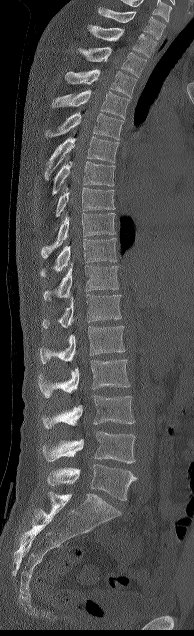
CT spine · sagittal view · the image is 194 mm wide
Box values are [left, top, right, bottom] in pixels.
{"vertebrae":{"C7":[98,8,165,39],"T1":[87,24,156,57],"T2":[78,47,146,77],"T3":[65,69,136,97],"T4":[52,89,129,118],"T5":[45,111,123,139],"T6":[45,136,118,180],"T7":[52,161,115,194],"T8":[55,187,114,217],"T9":[40,213,115,258],"T10":[40,238,116,277],"T11":[43,264,118,300],"T12":[42,294,121,329],"L1":[39,326,125,363],"L2":[37,359,130,397],"L3":[42,395,134,428],"L4":[42,431,135,463],"L5":[47,464,137,500]}}